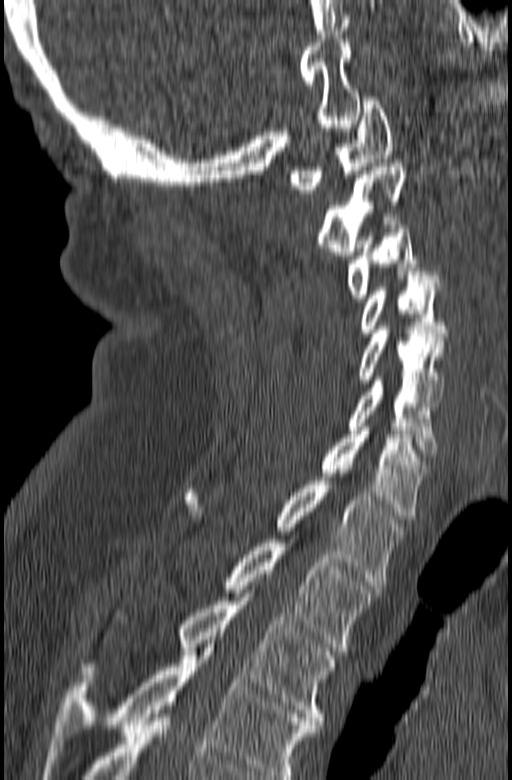 CT · sagittal view · W/L 1800/400 HU · 512x780 px

Boxes are (x1, y1, x2, y2) in pixels.
In this scan, the topmost labeled vertebra is C1 and the lowest is T3.
Vertebra bounding boxes:
- C1: (290, 97, 393, 197)
- C2: (318, 163, 407, 259)
- C3: (345, 217, 428, 302)
- C4: (361, 272, 448, 336)
- C5: (358, 326, 445, 402)
- C6: (349, 376, 438, 457)
- C7: (314, 427, 430, 523)
- T1: (182, 481, 406, 585)
- T2: (224, 539, 380, 651)
- T3: (82, 597, 335, 728)